CT spine. Sagittal slice 94/204. 204x205 px. 204 mm image width. scan covers 5 annotated vertebrae
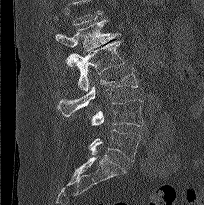
Boxes: x1 y1 x2 y2 (pixel coords, space-separated). A vertebra cut off by the top edge of the scan is not labeled and has no box. 5 vertebrae labeled — L1 at 55 20 120 69; L2 at 66 40 124 93; L3 at 57 68 138 116; L4 at 91 99 143 126; L5 at 89 129 140 161.